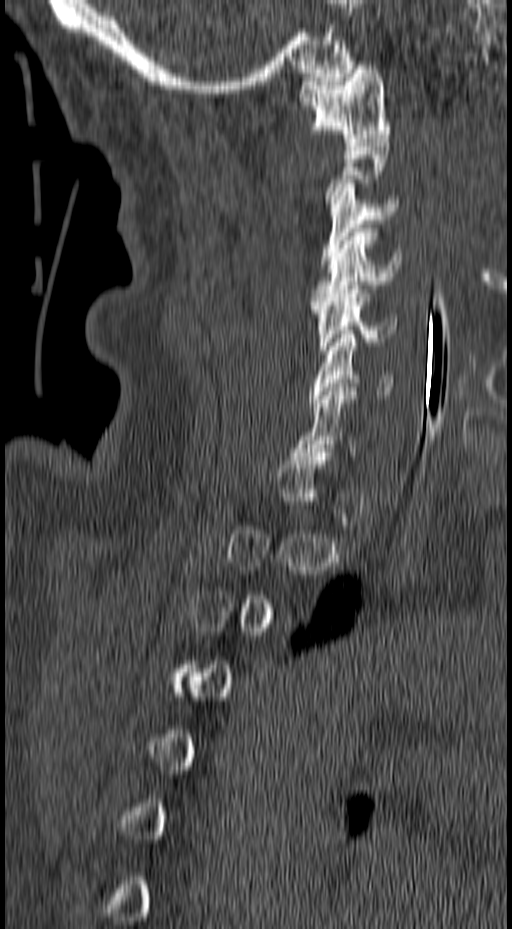

Computed tomography of the spine. sagittal view. image width 157 mm. W/L 1800/400 HU. Box edges are left/top/right/bottom in pixels. A vertebra is boxed only from the first to the last slice where its cross-section is at least a third of its largest; slices outside that range leave it without a box. The labeled vertebrae in this slice are: C1 at left=297, top=65, right=391, bottom=142, C3 at left=319, top=183, right=398, bottom=264, C4 at left=310, top=228, right=401, bottom=305, C5 at left=310, top=285, right=397, bottom=354, C6 at left=309, top=334, right=393, bottom=403, C7 at left=291, top=387, right=356, bottom=456.